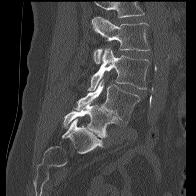

CT; sagittal view; bone-window reconstruction
Bounding boxes as [x1, y1, x2, y2] in pixel coordinates.
Where the top of the scan cuts through a vertebra, that vertebra gets no label or box.
Vertebra bounding boxes:
- L5: [63, 100, 117, 137]
- L4: [73, 80, 140, 122]
- L3: [88, 48, 150, 90]
- L2: [92, 16, 150, 63]